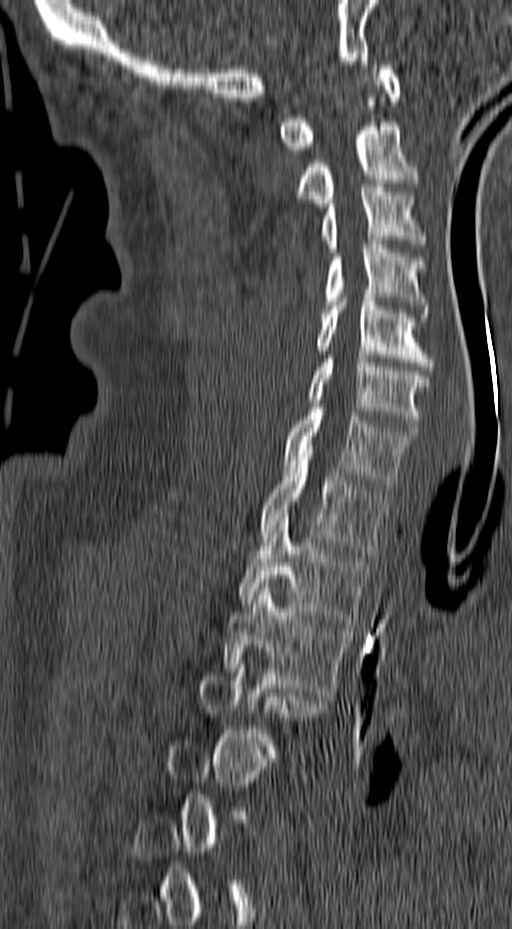

CT · sagittal view · bone-window reconstruction

A vertebra is boxed only from the first to the last slice where its cross-section is at least a third of its largest; slices outside that range leave it without a box.
<vertebrae><v name="C1" x1="278" y1="61" x2="401" y2="154"/><v name="C2" x1="295" y1="122" x2="418" y2="207"/><v name="C3" x1="321" y1="183" x2="427" y2="252"/><v name="C4" x1="324" y1="241" x2="430" y2="317"/><v name="C5" x1="317" y1="294" x2="433" y2="370"/><v name="C6" x1="308" y1="355" x2="429" y2="431"/><v name="C7" x1="282" y1="404" x2="418" y2="488"/><v name="T1" x1="259" y1="457" x2="388" y2="557"/><v name="T2" x1="239" y1="514" x2="369" y2="627"/><v name="T3" x1="223" y1="583" x2="349" y2="696"/></vertebrae>